CT spine. the image is 190 mm wide. sagittal reformat. bone-window reconstruction. 512x694 px
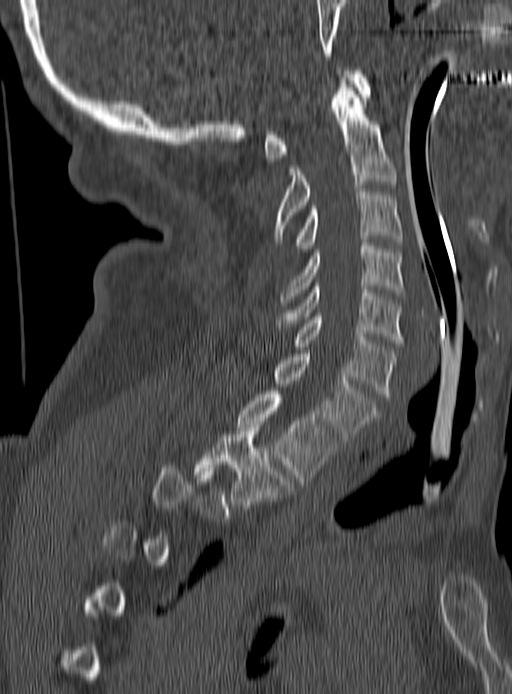
Bounding boxes as [x1, y1, x2, y2] in pixel coordinates.
Not every vertebra on this slice has a box: a vertebra is boxed only from the first to the last slice where its cross-section is at least a third of its largest, and this slice is outside that range for at least one of them.
C1: [264, 67, 369, 161]
C2: [274, 77, 396, 242]
C3: [294, 189, 401, 252]
C4: [281, 243, 404, 306]
C5: [275, 283, 404, 346]
C6: [295, 313, 396, 400]
C7: [276, 350, 380, 444]
T1: [238, 391, 337, 484]
T2: [195, 424, 288, 508]